Spine computed tomography — sagittal plane, index 248 — image 384 mm wide — scan covers 10 annotated vertebrae
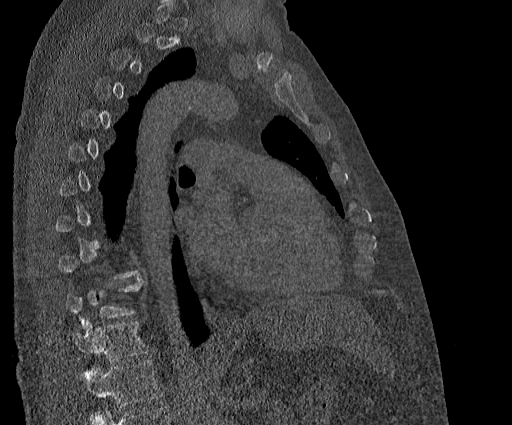

Bounding boxes as [x1, y1, x2, y2] in pixel coordinates.
A vertebra is boxed only from the first to the last slice where its cross-section is at least a third of its largest; slices outside that range leave it without a box.
Labels in this scan begin with T2 at the top and end with T11 at the bottom.
T10: [65, 276, 142, 328]
T11: [72, 320, 148, 363]